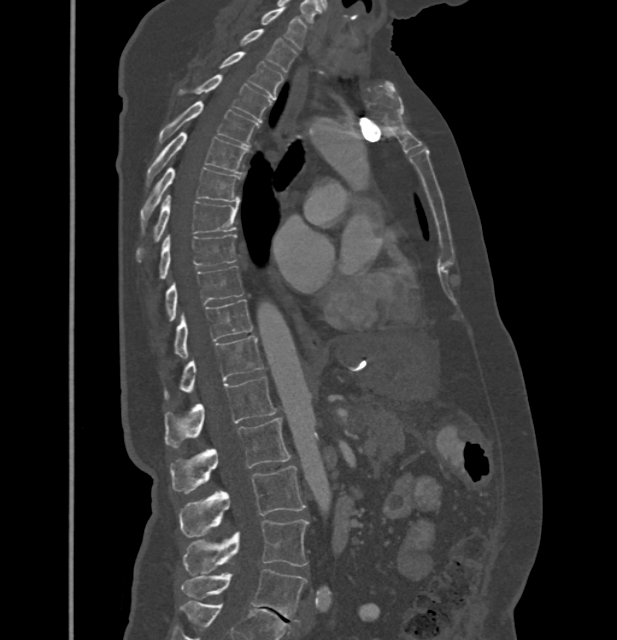
CT · sagittal view

In these labels the thoracic vertebrae end at T11, so L1 follows T11.
<vertebrae><v name="C7" x1="262" y1="9" x2="306" y2="49"/><v name="T1" x1="241" y1="29" x2="296" y2="72"/><v name="T2" x1="219" y1="52" x2="283" y2="98"/><v name="T3" x1="180" y1="75" x2="270" y2="122"/><v name="T4" x1="158" y1="100" x2="259" y2="146"/><v name="T5" x1="147" y1="132" x2="247" y2="185"/><v name="T6" x1="140" y1="167" x2="240" y2="231"/><v name="T7" x1="135" y1="196" x2="238" y2="262"/><v name="T8" x1="158" y1="235" x2="236" y2="279"/><v name="T9" x1="164" y1="266" x2="244" y2="321"/><v name="T10" x1="172" y1="299" x2="252" y2="356"/><v name="T11" x1="163" y1="336" x2="263" y2="399"/><v name="L1" x1="164" y1="376" x2="276" y2="448"/><v name="L2" x1="170" y1="417" x2="291" y2="494"/><v name="L3" x1="180" y1="466" x2="305" y2="536"/><v name="L4" x1="183" y1="519" x2="309" y2="575"/><v name="L5" x1="181" y1="569" x2="306" y2="621"/></vertebrae>